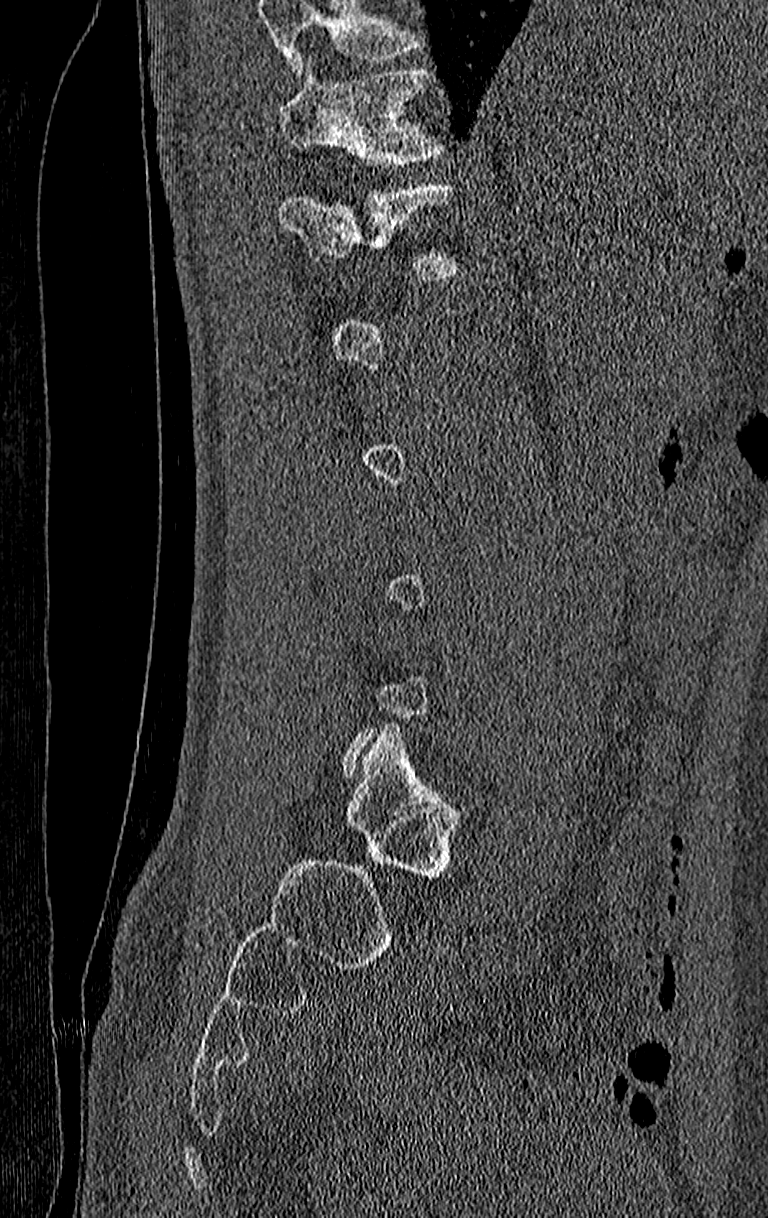
Spine computed tomography. the image spans 210 mm across. sagittal view. Bone window (WL 400, WW 1800)
Each box given as x1,y1,x2,y2.
A vertebra is boxed only from the first to the last slice where its cross-section is at least a third of its largest; slices outside that range leave it without a box.
A vertebra cut off by the top edge of the scan is not labeled and has no box.
| vertebra | x1 | y1 | x2 | y2 |
|---|---|---|---|---|
| T12 | 280 | 184 | 462 | 277 |
| T11 | 280 | 67 | 444 | 165 |